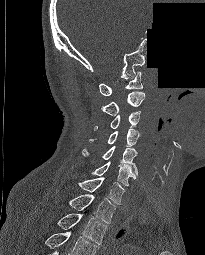 CT spine; sagittal view; image width 205 mm; a portion of the image is blanked out (constant pixel value)
Coordinates as <box>x1,y1,x2,y2</box>. This scan's labels start at C1 at the top and end at T2 at the bottom. The labeled vertebrae in this slice are: C1 at <box>99,71,143,95</box>, C2 at <box>100,91,145,116</box>, C3 at <box>94,111,140,130</box>, C4 at <box>89,129,139,146</box>, C5 at <box>82,146,137,175</box>, C6 at <box>91,161,135,186</box>, C7 at <box>77,177,124,204</box>, T1 at <box>68,194,116,223</box>, T2 at <box>57,213,107,244</box>.